CT spine; sagittal view; scan covers 18 annotated vertebrae
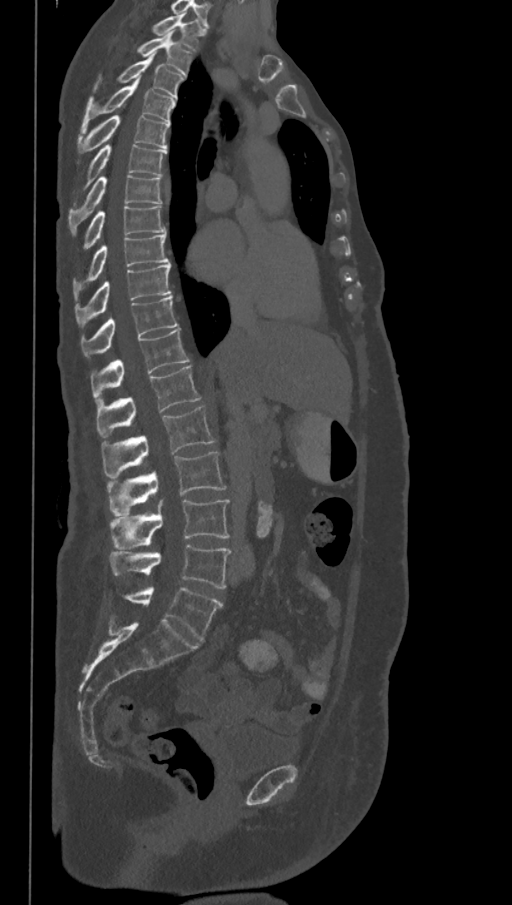
Boxes are (x1, y1, x2, y2) in pixels. Labels in this scan begin with T1 at the top and end with L6 at the bottom. In these labels the spine has an L6, a sixth lumbar vertebra below L5. The labeled vertebrae in this slice are: L6 at (126, 587, 223, 640), L5 at (110, 545, 231, 589), L4 at (111, 500, 230, 549), L3 at (107, 452, 227, 515), L2 at (101, 406, 216, 477), L1 at (96, 366, 201, 437), T12 at (90, 329, 189, 401), T11 at (80, 296, 178, 356), T10 at (75, 264, 171, 326), T9 at (74, 233, 169, 300), T8 at (83, 205, 164, 248), T7 at (68, 175, 162, 232), T6 at (86, 144, 167, 187), T5 at (78, 115, 169, 152), T4 at (80, 80, 175, 130), T3 at (93, 56, 185, 98), T2 at (135, 31, 192, 74), T1 at (151, 14, 205, 50).